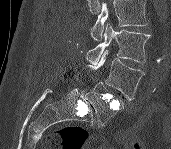
CT, spine. sagittal reformat. image width 171 mm
Box edges are left/top/right/bottom in pixels. No box is given to a vertebra that the top edge of the scan cuts off. 3 vertebrae labeled — L3 at left=87, top=22, right=150, bottom=64; L4 at left=87, top=50, right=144, bottom=100; L5 at left=85, top=82, right=123, bottom=126.